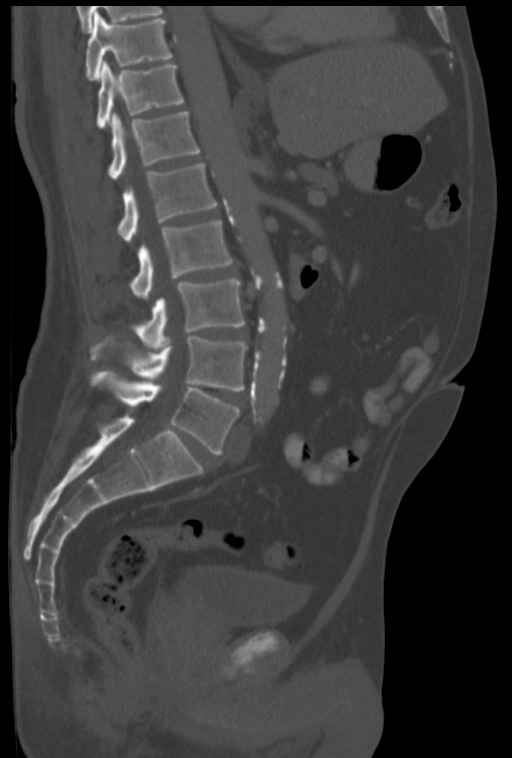

Spine CT — sagittal view

Each row gives a vertebra's box as x1, y1, x2, y2 in pixels: top-left corner, then bottom-right corner.
| vertebra | x1 | y1 | x2 | y2 |
|---|---|---|---|---|
| L5 | 91 | 372 | 239 | 454 |
| L4 | 93 | 336 | 246 | 390 |
| L3 | 134 | 278 | 244 | 349 |
| L2 | 131 | 220 | 233 | 298 |
| L1 | 118 | 162 | 217 | 242 |
| T12 | 108 | 112 | 200 | 179 |
| T11 | 97 | 61 | 184 | 128 |
| T10 | 86 | 11 | 173 | 80 |